CT · sagittal plane, index 79 · scan covers 5 annotated vertebrae
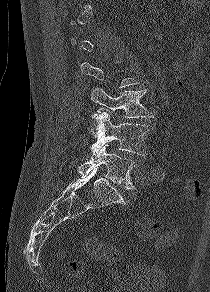
Box edges are left/top/right/bottom in pixels.
Each vertebra is boxed only on the slices from the first to the last where its cross-section reaches a third of its largest, so a slice outside that range leaves it unboxed.
| vertebra | x1 | y1 | x2 | y2 |
|---|---|---|---|---|
| L3 | 91 | 88 | 153 | 118 |
| L4 | 89 | 111 | 149 | 157 |
| L5 | 78 | 143 | 136 | 189 |